Computed tomography of the spine; Sagittal slice 236/512
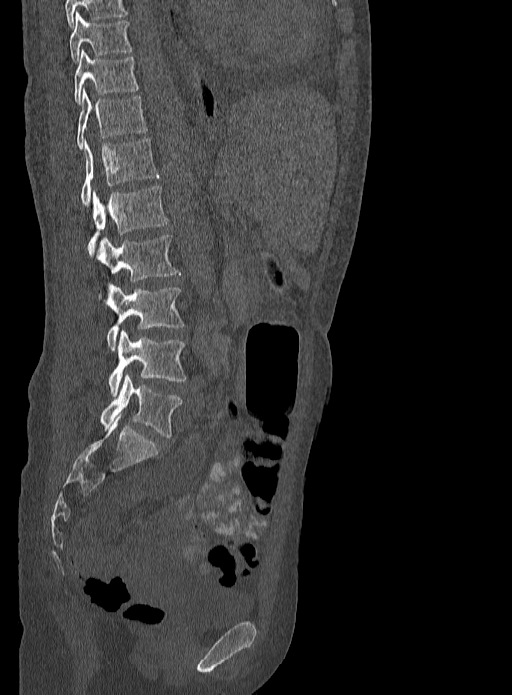 Boxes are (x1, y1, x2, y2) in pixels.
T9: (69, 12, 131, 62)
T10: (74, 49, 137, 104)
T11: (77, 89, 146, 148)
T12: (81, 138, 159, 205)
L1: (87, 186, 168, 253)
L2: (95, 234, 180, 282)
L3: (104, 284, 183, 350)
L4: (107, 331, 185, 396)
L5: (100, 374, 182, 437)